CT · image 412 mm wide · sagittal view · 512x808 px
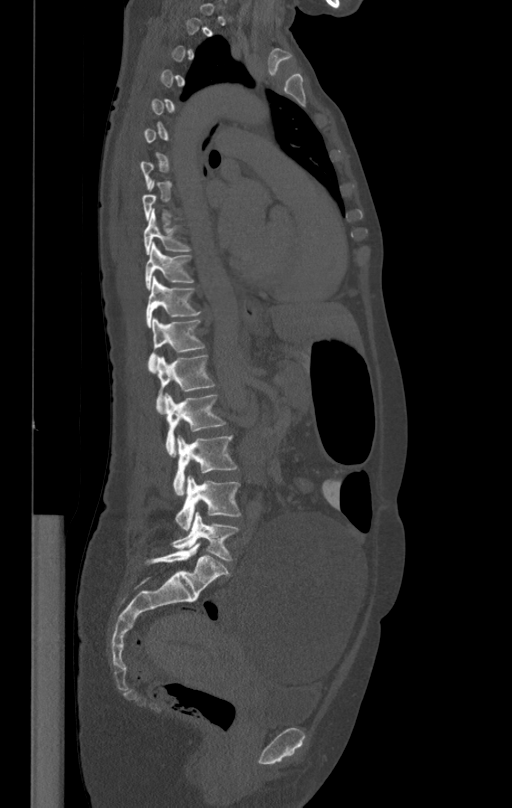
Each box given as x1,y1,x2,y2.
A vertebra gets a box only on the slices from the first to the last where its cross-section is at least a third of its largest; on a slice outside that range it gets none.
T9: x1=144, y1=211, x2=190, y2=254
T10: x1=145, y1=244, x2=194, y2=289
T11: x1=145, y1=277, x2=201, y2=327
T12: x1=148, y1=318, x2=205, y2=371
L1: x1=156, y1=353, x2=215, y2=413
L2: x1=165, y1=393, x2=226, y2=456
L3: x1=173, y1=436, x2=237, y2=494
L4: x1=175, y1=475, x2=241, y2=529
L5: x1=171, y1=512, x2=239, y2=560